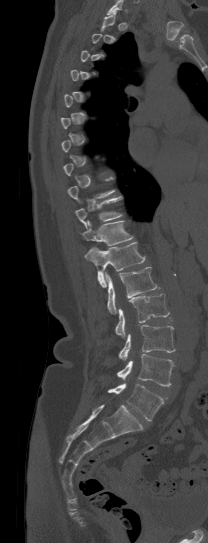 CT — sagittal view — W/L 1800/400 HU
Boxes below are [x1, y1, x2, y2] in pixels.
A vertebra gets a box only on the slices from the first to the last where its cross-section is at least a third of its largest; on a slice outside that range it gets none.
{"vertebrae":{"T10":[75,196,121,229],"T11":[82,221,133,245],"T12":[84,242,145,287],"L1":[105,266,157,314],"L2":[115,293,169,337],"L3":[118,325,174,360],"L4":[116,354,174,386],"L5":[108,384,163,420]}}